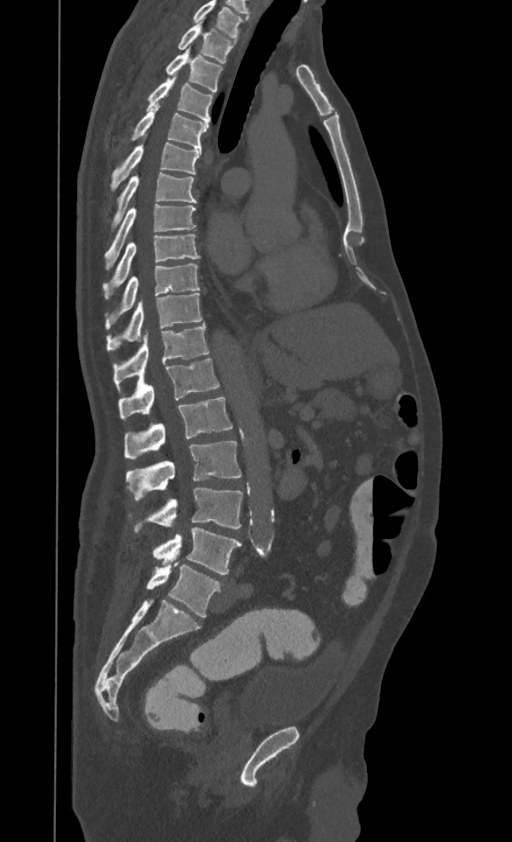
CT — sagittal view — W/L 1800/400 HU — the image is 395 mm wide
Boxes are (x1, y1, x2, y2) in pixels.
Labels in this scan begin with T1 at the top and end with L4 at the bottom.
Vertebra bounding boxes:
- T1: (179, 20, 236, 62)
- T2: (166, 47, 222, 92)
- T3: (148, 73, 213, 124)
- T4: (132, 104, 208, 148)
- T5: (110, 136, 201, 191)
- T6: (114, 173, 196, 224)
- T7: (105, 203, 196, 268)
- T8: (102, 234, 198, 296)
- T9: (105, 262, 200, 328)
- T10: (106, 293, 202, 350)
- T11: (113, 323, 209, 387)
- T12: (119, 358, 219, 419)
- L1: (124, 397, 232, 457)
- L2: (126, 441, 241, 501)
- L3: (128, 488, 243, 533)
- L4: (152, 527, 241, 574)